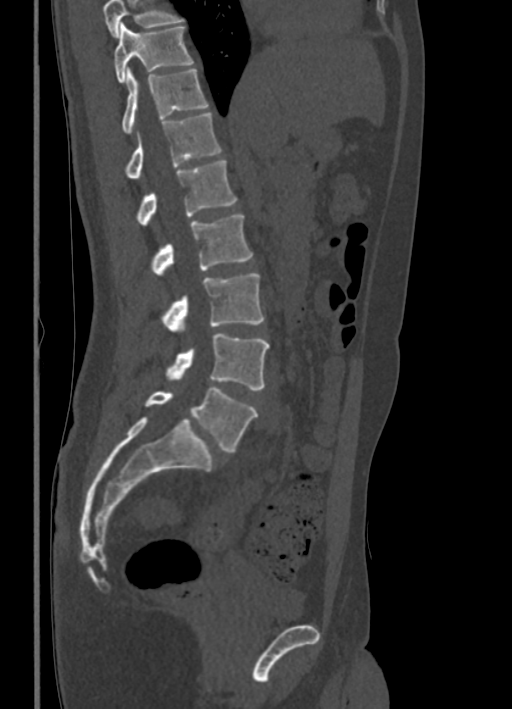 Spine computed tomography · sagittal view · Bone window (WL 400, WW 1800) · 512x709 px
Boxes are (x1, y1, x2, y2) in pixels.
Vertebrae that run past the top of the scan are left unlabeled.
Vertebra bounding boxes:
- T10: (114, 23, 194, 83)
- T11: (122, 67, 208, 133)
- T12: (125, 112, 221, 178)
- L1: (135, 160, 237, 225)
- L2: (152, 215, 252, 275)
- L3: (161, 273, 264, 331)
- L4: (166, 334, 269, 390)
- L5: (145, 387, 258, 451)